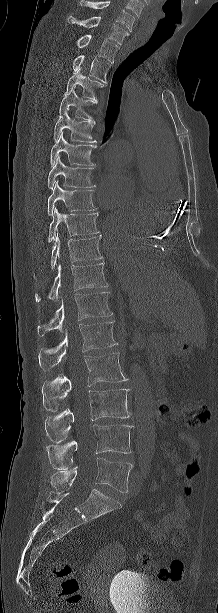 CT; image width 218 mm; sagittal view
Labels in this scan begin with C7 at the top and end with L5 at the bottom.
<vertebrae><v name="C7" x1="67" y1="16" x2="129" y2="44"/><v name="T1" x1="76" y1="35" x2="120" y2="63"/><v name="T2" x1="73" y1="55" x2="110" y2="84"/><v name="T3" x1="64" y1="68" x2="106" y2="98"/><v name="T4" x1="59" y1="90" x2="98" y2="120"/><v name="T5" x1="54" y1="112" x2="97" y2="142"/><v name="T6" x1="50" y1="133" x2="96" y2="166"/><v name="T7" x1="48" y1="156" x2="95" y2="189"/><v name="T8" x1="48" y1="181" x2="96" y2="215"/><v name="T9" x1="48" y1="208" x2="98" y2="242"/><v name="T10" x1="51" y1="233" x2="102" y2="269"/><v name="T11" x1="35" y1="262" x2="107" y2="302"/><v name="T12" x1="37" y1="292" x2="112" y2="336"/><v name="L1" x1="38" y1="321" x2="117" y2="371"/><v name="L2" x1="42" y1="352" x2="127" y2="411"/><v name="L3" x1="45" y1="389" x2="130" y2="443"/><v name="L4" x1="46" y1="424" x2="133" y2="469"/><v name="L5" x1="50" y1="458" x2="132" y2="493"/></vertebrae>